CT — Sagittal slice 114/186 — bone-window reconstruction — 186x206 px
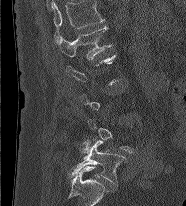
Each row gives a vertebra's box as x1, y1, x2, y2 in pixels: top-left corner, then bottom-right corner.
A vertebra is boxed only from the first to the last slice where its cross-section is at least a third of its largest; slices outside that range leave it without a box.
This scan's labels start at L1 at the top and end at L5 at the bottom.
| vertebra | x1 | y1 | x2 | y2 |
|---|---|---|---|---|
| L5 | 68 | 139 | 126 | 183 |
| L1 | 59 | 26 | 112 | 59 |